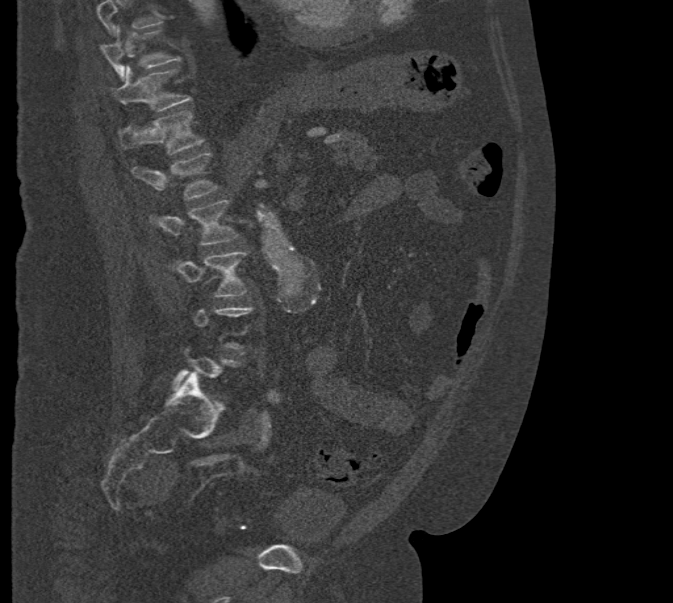
Spine CT. sagittal view. W/L 1800/400 HU. 673x603 px. 471 mm across the image
A vertebra gets a box only on the slices from the first to the last where its cross-section is at least a third of its largest; on a slice outside that range it gets none.
Where the top of the scan cuts through a vertebra, that vertebra gets no label or box.
<vertebrae><v name="L3" x1="168" y1="252" x2="247" y2="297"/><v name="L2" x1="150" y1="200" x2="237" y2="245"/><v name="L1" x1="131" y1="152" x2="217" y2="199"/><v name="T12" x1="118" y1="110" x2="203" y2="154"/><v name="T11" x1="112" y1="66" x2="191" y2="111"/><v name="T10" x1="100" y1="26" x2="180" y2="81"/></vertebrae>